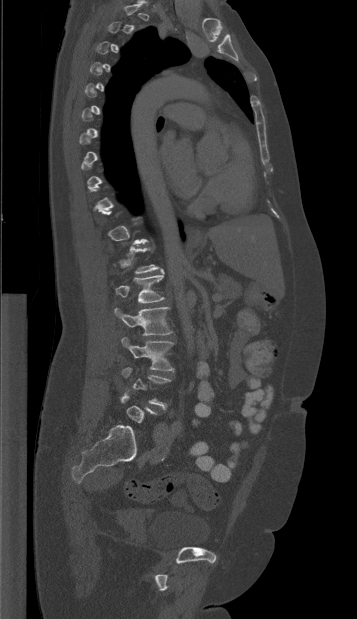
CT spine — sagittal view — the image spans 357 mm across

Bounding boxes as [x1, y1, x2, y2] in pixel coordinates.
A vertebra gets a box only on the slices from the first to the last where its cross-section is at least a third of its largest; on a slice outside that range it gets none.
Vertebra bounding boxes:
- L1: [115, 269, 164, 302]
- L2: [114, 307, 172, 335]
- L3: [122, 337, 174, 371]
- L4: [122, 367, 171, 409]